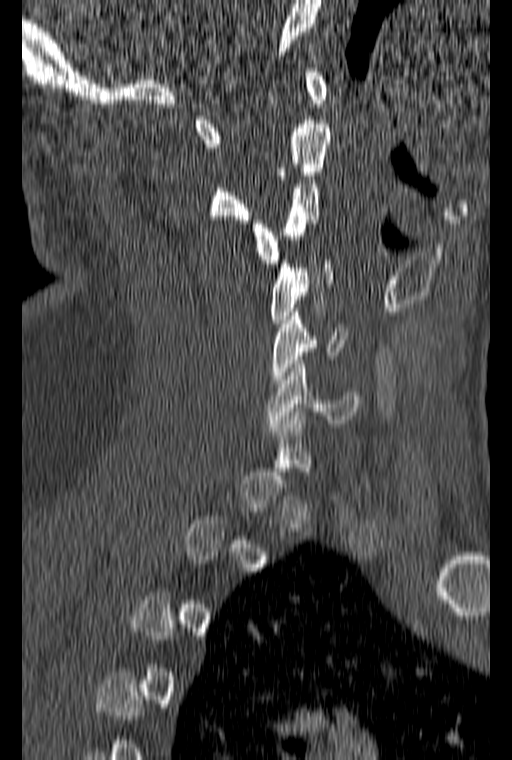 CT spine. sagittal view. W/L 1800/400 HU. Each row gives a vertebra's box as x1, y1, x2, y2 in pixels: top-left corner, then bottom-right corner.
Not every vertebra on this slice has a box: a vertebra is boxed only from the first to the last slice where its cross-section is at least a third of its largest, and this slice is outside that range for at least one of them.
| vertebra | x1 | y1 | x2 | y2 |
|---|---|---|---|---|
| C1 | 195 | 68 | 327 | 147 |
| C2 | 208 | 120 | 330 | 223 |
| C3 | 250 | 176 | 321 | 263 |
| C4 | 271 | 260 | 333 | 323 |
| C5 | 271 | 312 | 348 | 383 |
| C6 | 266 | 356 | 360 | 427 |